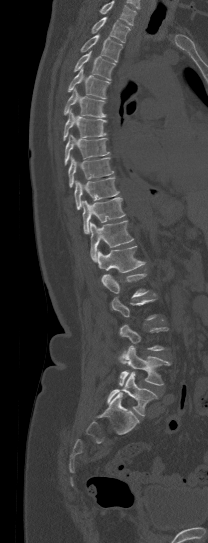 CT spine — sagittal view — W/L 1800/400 HU — 208x543 px
In the table, x1 and y1 are a box's top-left corner and x2 and y2 its bottom-right corner, in pixels.
Each vertebra is boxed only on the slices from the first to the last where its cross-section reaches a third of its largest, so a slice outside that range leaves it unboxed.
Vertebrae that run past the top of the scan are left unlabeled.
| vertebra | x1 | y1 | x2 | y2 |
|---|---|---|---|---|
| T1 | 91 | 17 | 130 | 43 |
| T2 | 81 | 34 | 122 | 61 |
| T3 | 74 | 51 | 115 | 80 |
| T4 | 68 | 68 | 110 | 99 |
| T5 | 64 | 87 | 106 | 117 |
| T6 | 63 | 109 | 106 | 140 |
| T7 | 64 | 134 | 109 | 165 |
| T8 | 68 | 157 | 113 | 187 |
| T9 | 74 | 177 | 119 | 209 |
| T10 | 83 | 197 | 124 | 233 |
| T11 | 90 | 220 | 133 | 261 |
| T12 | 97 | 245 | 146 | 281 |
| L1 | 102 | 273 | 148 | 298 |
| L4 | 118 | 345 | 171 | 386 |
| L5 | 107 | 372 | 156 | 415 |